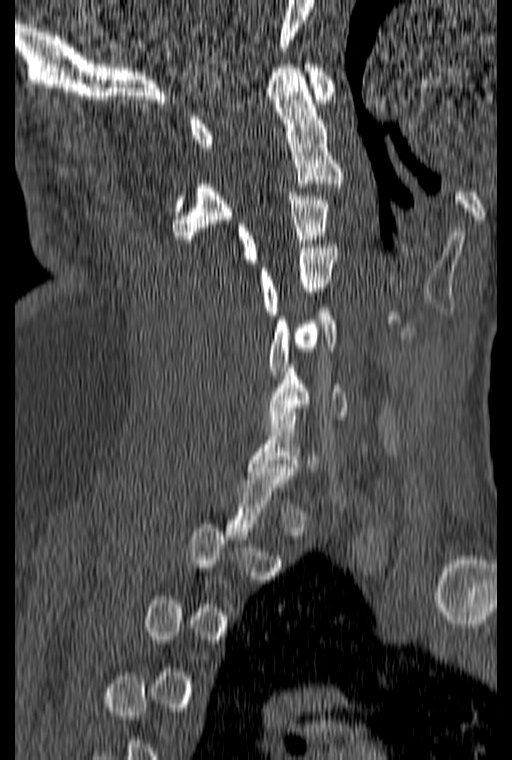

Computed tomography of the spine. sagittal reformat. bone window
Each vertebra is boxed only on the slices from the first to the last where its cross-section reaches a third of its largest, so a slice outside that range leaves it unboxed.
<vertebrae><v name="C6" x1="264" y1="364" x2="346" y2="427"/><v name="C5" x1="269" y1="308" x2="336" y2="379"/><v name="C4" x1="260" y1="244" x2="336" y2="315"/><v name="C3" x1="237" y1="192" x2="328" y2="263"/><v name="C2" x1="172" y1="64" x2="343" y2="243"/><v name="C1" x1="189" y1="64" x2="334" y2="147"/></vertebrae>